CT. sagittal view. image 190 mm wide. 512x694 px. scan covers 12 annotated vertebrae
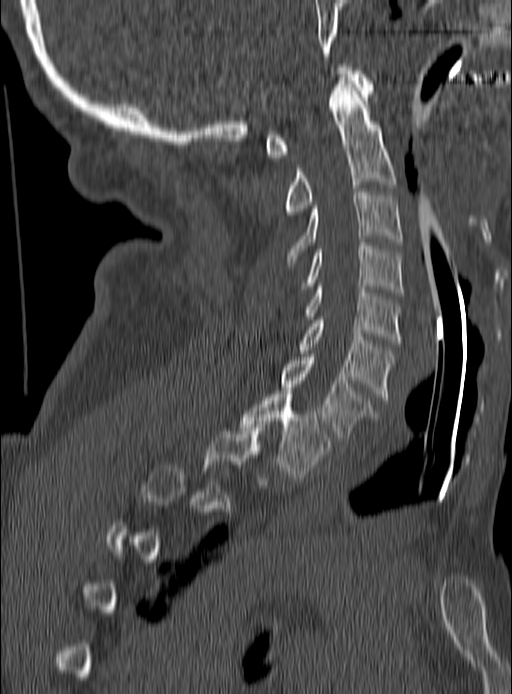

A vertebra is boxed only from the first to the last slice where its cross-section is at least a third of its largest; slices outside that range leave it without a box.
<vertebrae><v name="T1" x1="241" y1="391" x2="329" y2="477"/><v name="C7" x1="281" y1="357" x2="374" y2="440"/><v name="C6" x1="300" y1="317" x2="393" y2="400"/><v name="C5" x1="305" y1="283" x2="401" y2="343"/><v name="C4" x1="301" y1="243" x2="404" y2="295"/><v name="C3" x1="286" y1="189" x2="401" y2="265"/><v name="C2" x1="284" y1="77" x2="396" y2="215"/><v name="C1" x1="266" y1="67" x2="374" y2="157"/></vertebrae>